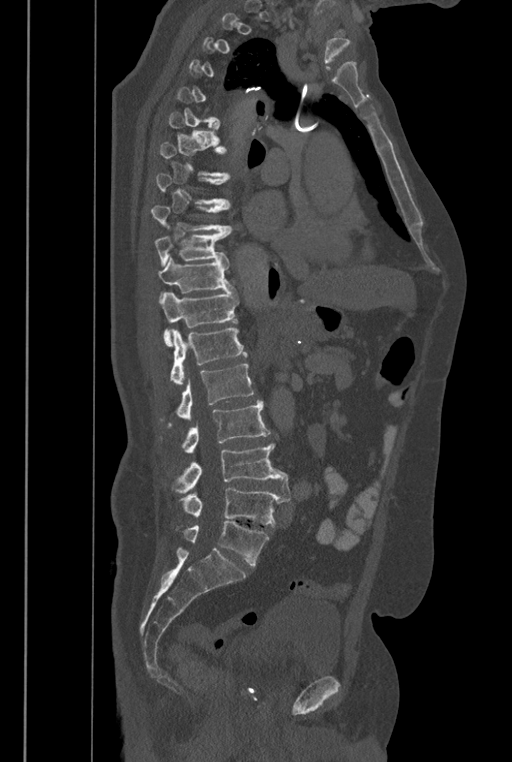 CT. image width 446 mm. sagittal view. W/L 1800/400 HU. 512x762 px

Coordinates as <box>x1,y1,x2,y2</box>.
A vertebra gets a box only on the slices from the first to the last where its cross-section is at least a third of its largest; on a slice outside that range it gets none.
These labels give the spine a sixth lumbar vertebra, L6, below L5.
T8: <box>156,174,231,208</box>
T9: <box>150,205,232,234</box>
T10: <box>155,232,231,267</box>
T11: <box>158,256,233,298</box>
T12: <box>159,291,238,346</box>
L1: <box>170,328,247,383</box>
L2: <box>169,363,254,425</box>
L3: <box>181,400,270,453</box>
L4: <box>172,443,289,493</box>
L5: <box>180,488,290,526</box>
L6: <box>182,521,269,565</box>